CT spine; sagittal plane, index 81; bone window; 9 vertebrae labeled in this scan; a region is blanked to uniform black, ending in a straight edge
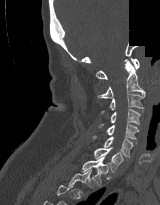 Boxes are (x1, y1, x2, y2) in pixels.
This scan's labels start at C1 at the top and end at T2 at the bottom.
C1: (96, 57, 139, 79)
C2: (97, 59, 145, 98)
C3: (101, 93, 145, 113)
C4: (99, 109, 140, 128)
C5: (92, 124, 138, 139)
C6: (103, 137, 133, 157)
C7: (94, 147, 123, 172)
T1: (81, 156, 108, 186)
T2: (68, 169, 91, 187)